CT. Sagittal slice 333/512
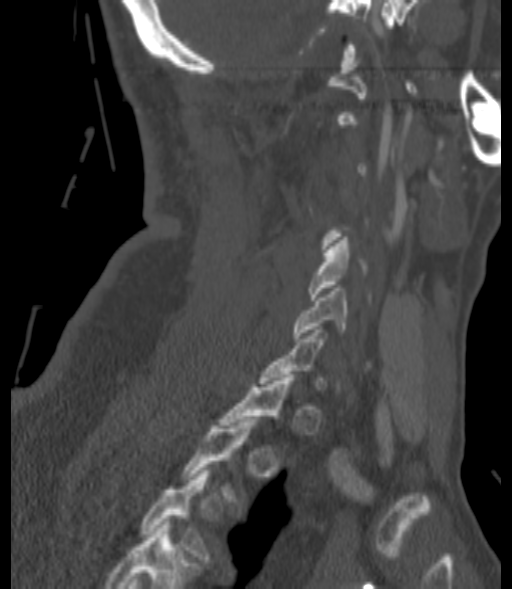

Boxes: x1 y1 x2 y2 (pixel coords, space-separated). Not every vertebra on this slice has a box: a vertebra is boxed only from the first to the last slice where its cross-section is at least a third of its largest, and this slice is outside that range for at least one of them. Labels in this scan begin with C1 at the top and end with T3 at the bottom. 3 vertebrae labeled — C5 at 307 237 364 300; C6 at 293 288 345 341; T3 at 142 470 210 562.